CT · sagittal reformat
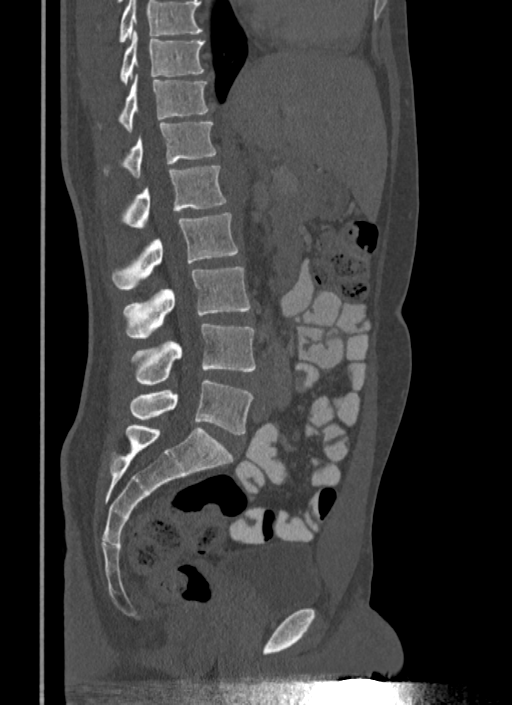 Each vertebra maps to its box as [x1, y1, x2, y2], the pixel coordinates of its top-left and bottom-right corners.
A vertebra cut off by the top edge of the scan is not labeled and has no box.
{"vertebrae":{"T10":[120,30,205,85],"T11":[119,74,213,130],"T12":[104,120,216,177],"L1":[122,166,226,228],"L2":[111,212,238,290],"L3":[123,267,250,338],"L4":[131,324,255,385],"L5":[129,379,253,434]}}